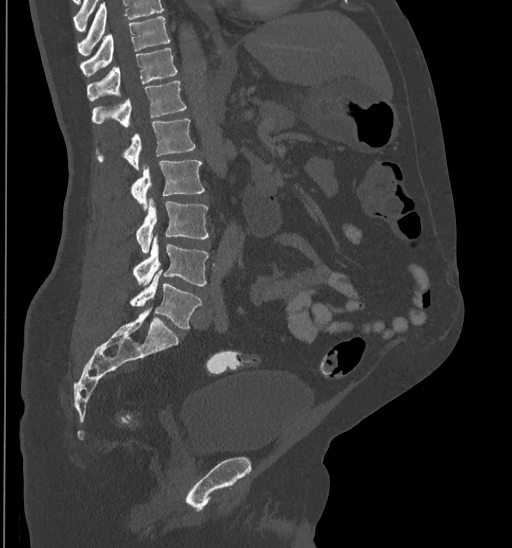
Spine CT — sagittal view
Boxes are (x1, y1, x2, y2) in pixels. Vertebrae that run past the top of the scan are left unlabeled. 8 vertebrae labeled — T10 at (79, 16, 170, 76); T11 at (87, 48, 177, 101); T12 at (92, 81, 186, 127); L1 at (98, 119, 195, 171); L2 at (132, 159, 204, 209); L3 at (136, 197, 208, 252); L4 at (133, 235, 208, 287); L5 at (131, 271, 201, 330).